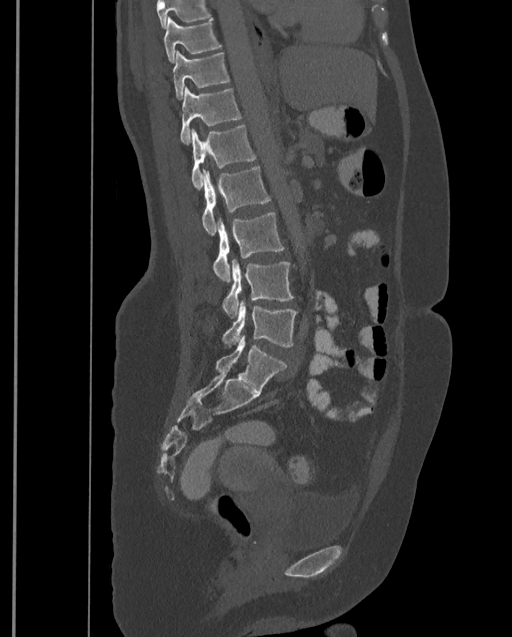
Computed tomography of the spine · sagittal view · W/L 1800/400 HU
Bounding boxes as [x1, y1, x2, y2] in pixel coordinates.
Where the top of the scan cuts through a vertebra, that vertebra gets no label or box.
This scan's labels start at T9 at the top and end at L4 at the bottom.
T9: [164, 16, 221, 63]
T10: [173, 51, 230, 99]
T11: [180, 85, 241, 145]
T12: [190, 125, 255, 190]
L1: [201, 166, 270, 235]
L2: [213, 212, 284, 282]
L3: [222, 259, 294, 319]
L4: [222, 300, 297, 347]